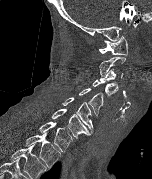 Spine computed tomography; sagittal view

Box edges are left/top/right/bottom in pixels.
In this scan, the topmost labeled vertebra is C1 and the lowest is T2.
| vertebra | x1 | y1 | x2 | y2 |
|---|---|---|---|---|
| C1 | 99 | 35 | 128 | 55 |
| C2 | 99 | 57 | 125 | 76 |
| C3 | 99 | 68 | 123 | 81 |
| C4 | 92 | 79 | 118 | 96 |
| C5 | 79 | 88 | 103 | 116 |
| C6 | 62 | 97 | 93 | 133 |
| C7 | 51 | 109 | 90 | 137 |
| T1 | 38 | 122 | 73 | 152 |
| T2 | 25 | 132 | 61 | 167 |